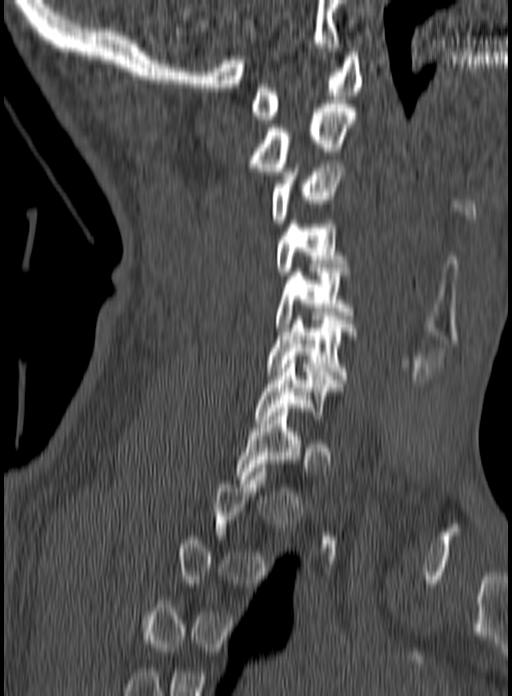 CT spine · sagittal view
In the table, x1 and y1 are a box's top-left corner and x2 and y2 its bottom-right corner, in pixels.
A vertebra is boxed only from the first to the last slice where its cross-section is at least a third of its largest; slices outside that range leave it without a box.
| vertebra | x1 | y1 | x2 | y2 |
|---|---|---|---|---|
| T1 | 234 | 408 | 300 | 479 |
| C7 | 255 | 360 | 339 | 423 |
| C6 | 266 | 316 | 356 | 383 |
| C5 | 276 | 268 | 352 | 331 |
| C4 | 276 | 220 | 349 | 279 |
| C3 | 270 | 160 | 345 | 223 |
| C2 | 251 | 104 | 355 | 175 |
| C1 | 250 | 52 | 362 | 119 |